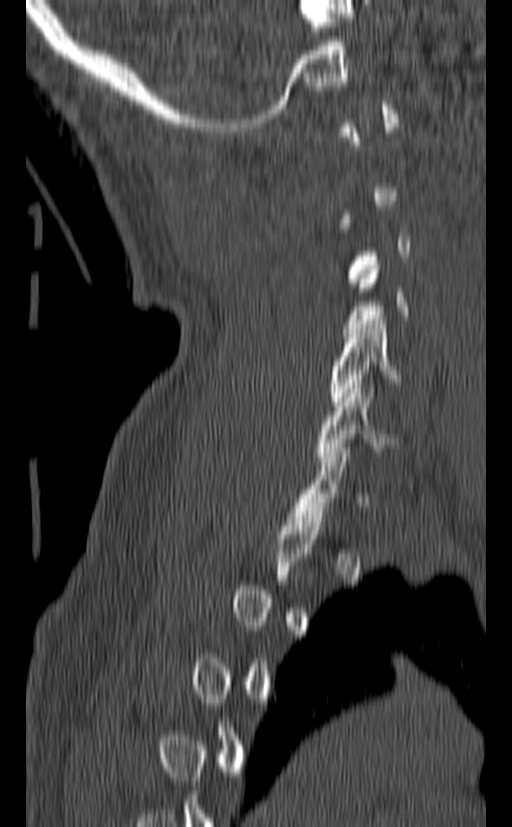 Spine CT; sagittal view; the image is 140 mm wide
Each vertebra is boxed only on the slices from the first to the last where its cross-section reaches a third of its largest, so a slice outside that range leaves it unboxed.
<vertebrae><v name="C5" x1="330" y1="320" x2="402" y2="406"/><v name="C6" x1="317" y1="384" x2="399" y2="465"/></vertebrae>